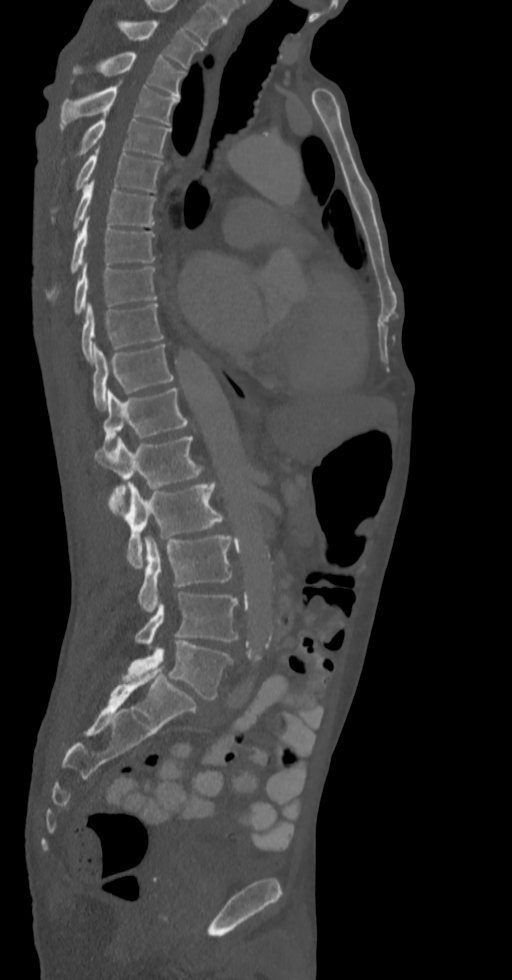
CT spine. sagittal view. Bone window (WL 400, WW 1800)
Each box given as x1,y1,x2,y2. Labels in this scan begin with T2 at the top and end with L5 at the bottom. The labeled vertebrae in this slice are: T2 at x1=120, y1=20, x2=201, y2=69, T3 at x1=74, y1=52, x2=185, y2=98, T4 at x1=59, y1=79, x2=179, y2=135, T5 at x1=61, y1=113, x2=169, y2=164, T6 at x1=50, y1=151, x2=162, y2=214, T7 at x1=71, y1=181, x2=156, y2=232, T8 at x1=45, y1=218, x2=156, y2=301, T9 at x1=73, y1=265, x2=157, y2=314, T10 at x1=80, y1=303, x2=163, y2=362, T11 at x1=93, y1=344, x2=174, y2=409, T12 at x1=103, y1=387, x2=188, y2=455, L1 at x1=94, y1=436, x2=204, y2=514, L2 at x1=109, y1=482, x2=232, y2=567, L3 at x1=137, y1=535, x2=232, y2=612, L4 at x1=135, y1=591, x2=238, y2=644, L5 at x1=121, y1=640, x2=233, y2=700.